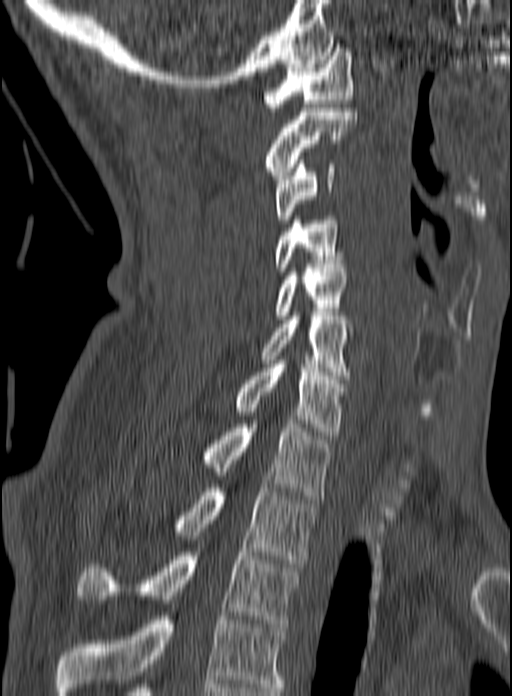

CT · sagittal view
In this scan, the topmost labeled vertebra is C1 and the lowest is T3.
<vertebrae><v name="C1" x1="263" y1="48" x2="352" y2="111"/><v name="C2" x1="266" y1="108" x2="357" y2="179"/><v name="C3" x1="275" y1="160" x2="335" y2="223"/><v name="C4" x1="276" y1="216" x2="345" y2="271"/><v name="C5" x1="274" y1="264" x2="349" y2="319"/><v name="C6" x1="260" y1="312" x2="351" y2="379"/><v name="C7" x1="235" y1="360" x2="346" y2="435"/><v name="T1" x1="204" y1="420" x2="331" y2="499"/><v name="T2" x1="177" y1="488" x2="317" y2="567"/><v name="T3" x1="78" y1="552" x2="298" y2="627"/></vertebrae>